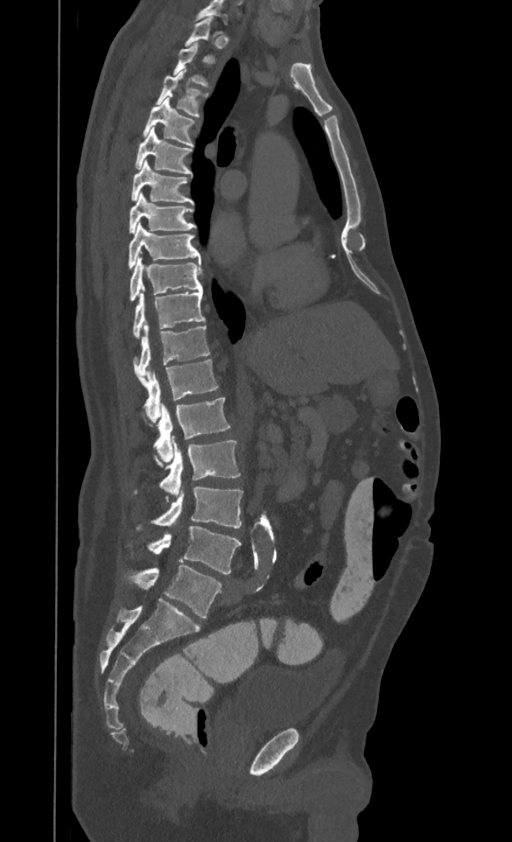 Spine CT · sagittal view · 512x842 px
Columns x1, y1, x2, y2 give each box's top-left and bottom-right pixels.
A vertebra is boxed only from the first to the last slice where its cross-section is at least a third of its largest; slices outside that range leave it without a box.
This scan's labels start at T1 at the top and end at L4 at the bottom.
| vertebra | x1 | y1 | x2 | y2 |
|---|---|---|---|---|
| L4 | 148 | 526 | 240 | 574 |
| L3 | 137 | 486 | 243 | 527 |
| L2 | 159 | 441 | 240 | 495 |
| L1 | 154 | 398 | 230 | 464 |
| T12 | 144 | 359 | 218 | 422 |
| T11 | 133 | 325 | 209 | 386 |
| T10 | 133 | 290 | 205 | 337 |
| T9 | 129 | 257 | 202 | 301 |
| T8 | 128 | 223 | 200 | 268 |
| T7 | 129 | 192 | 196 | 233 |
| T6 | 131 | 161 | 193 | 203 |
| T5 | 136 | 127 | 191 | 174 |
| T4 | 144 | 97 | 193 | 145 |
| T3 | 157 | 70 | 200 | 117 |